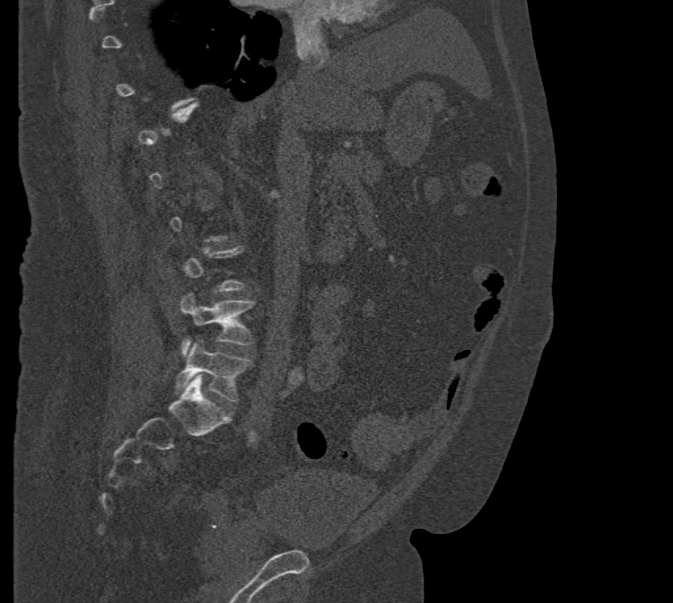
Spine CT. sagittal view. 673x603 px
Boxes below are [x1, y1, x2, y2] in pixels.
A vertebra gets a box only on the slices from the first to the last where its cross-section is at least a third of its largest; on a slice outside that range it gets none.
{"vertebrae":{"L5":[176,340,250,401],"L4":[180,293,253,354]}}